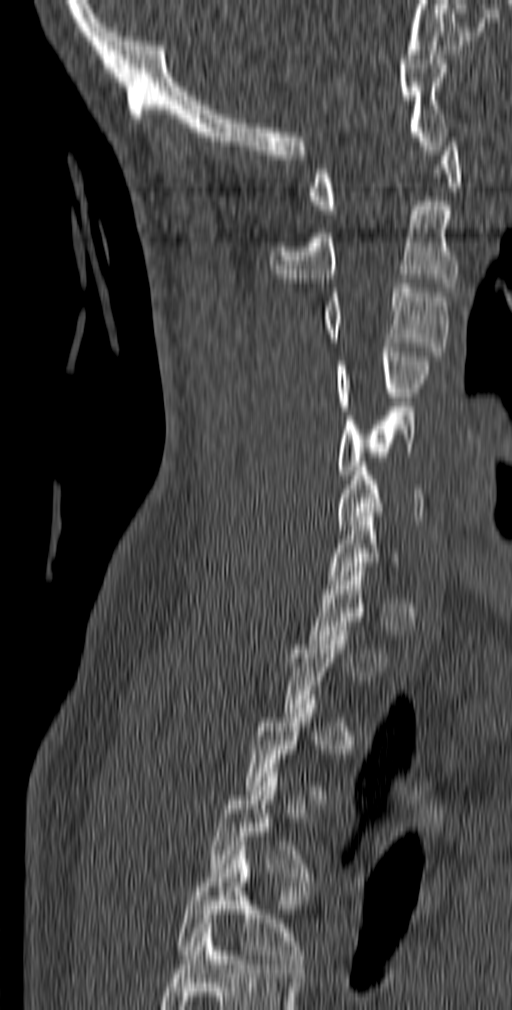
CT; sagittal view; 512x1010 px; 140 mm wide
Boxes are (x1, y1, x2, y2) in pixels. A vertebra gets a box only on the slices from the first to the last where its cross-section is at least a third of its largest; on a slice outside that range it gets none. Labels in this scan begin with C1 at the top and end with T5 at the bottom. The labeled vertebrae in this slice are: C1 at (309, 133, 461, 214), C2 at (270, 201, 458, 287), C3 at (323, 283, 448, 356), C4 at (337, 347, 432, 410), C5 at (338, 407, 417, 479), C6 at (337, 462, 423, 529), T4 at (210, 773, 316, 881), T5 at (177, 850, 306, 968).